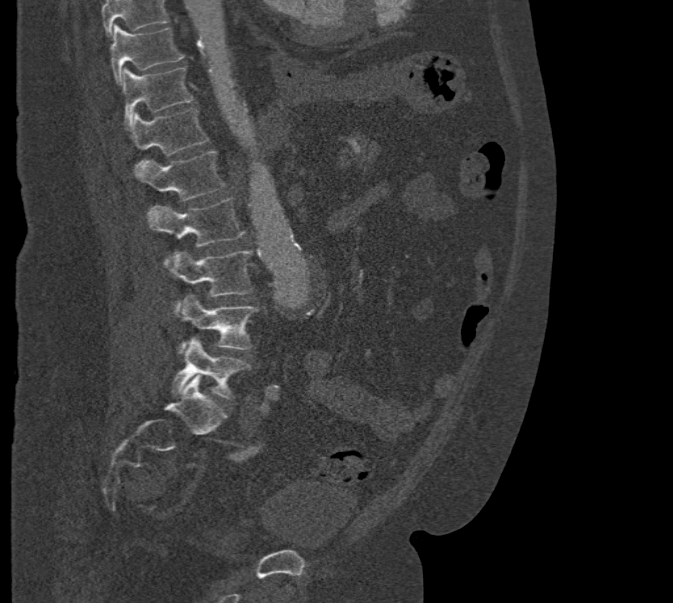 CT, spine; sagittal view; Bone window (WL 400, WW 1800); 673x603 px

Each box given as x1,y1,x2,y2.
A vertebra cut off by the top edge of the scan is not labeled and has no box.
T10: x1=110, y1=25, x2=183, y2=84
T11: x1=122, y1=68, x2=193, y2=125
T12: x1=126, y1=109, x2=209, y2=155
L1: x1=137, y1=150, x2=225, y2=201
L2: x1=147, y1=198, x2=245, y2=265
L3: x1=168, y1=250, x2=251, y2=309
L4: x1=177, y1=295, x2=258, y2=353
L5: x1=171, y1=338, x2=249, y2=398